CT spine; sagittal plane, index 272; bone window; 400 mm wide; scan covers 18 annotated vertebrae
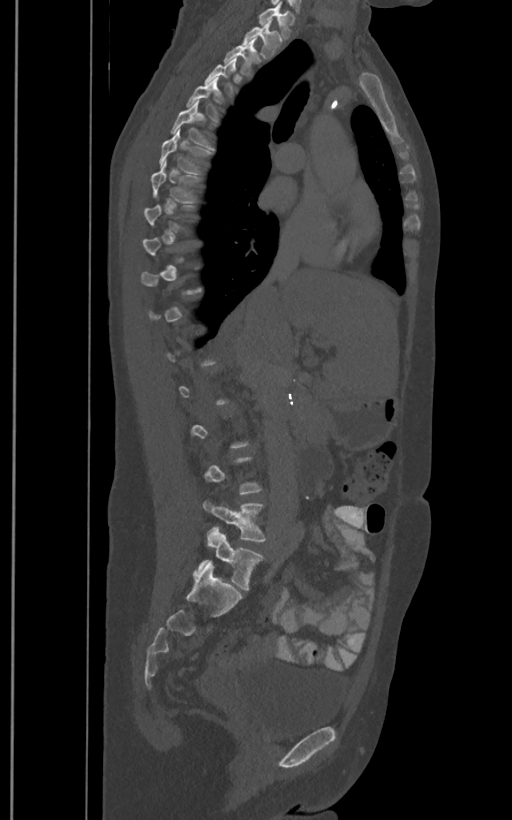
Not every vertebra on this slice has a box: a vertebra is boxed only from the first to the last slice where its cross-section is at least a third of its largest, and this slice is outside that range for at least one of them.
In these labels the spine has an L6, a sixth lumbar vertebra below L5.
<vertebrae><v name="T1" x1="258" y1="6" x2="295" y2="38"/><v name="T2" x1="243" y1="18" x2="281" y2="58"/><v name="T3" x1="224" y1="38" x2="259" y2="76"/><v name="T4" x1="204" y1="58" x2="236" y2="96"/><v name="T5" x1="187" y1="77" x2="221" y2="120"/><v name="T6" x1="170" y1="100" x2="214" y2="150"/><v name="T7" x1="159" y1="128" x2="213" y2="174"/><v name="T8" x1="151" y1="160" x2="201" y2="203"/><v name="L5" x1="202" y1="499" x2="268" y2="542"/><v name="L6" x1="200" y1="528" x2="264" y2="590"/></vertebrae>